CT; sagittal reformat; 512x425 px; scan covers 10 annotated vertebrae
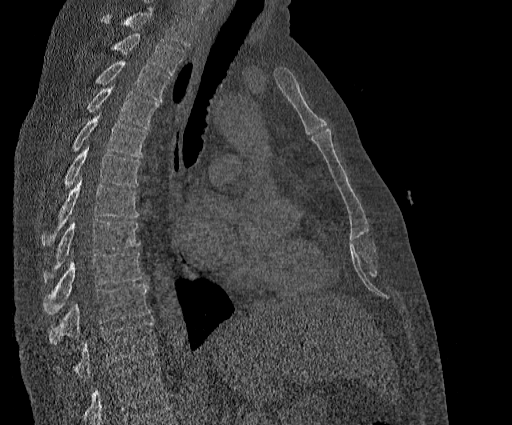

Bounding boxes as [x1, y1, x2, y2] in pixel coordinates. No box is given to a vertebra that the top edge of the scan cuts off. Labels in this scan begin with T2 at the top and end with T11 at the bottom. The labeled vertebrae in this slice are: T2 at [110, 33, 184, 75], T3 at [94, 61, 169, 100], T4 at [86, 87, 160, 128], T5 at [71, 112, 147, 158], T6 at [49, 147, 141, 206], T7 at [41, 175, 139, 246], T8 at [42, 220, 140, 282], T9 at [42, 252, 143, 314], T10 at [49, 284, 149, 343], T11 at [74, 321, 156, 379].